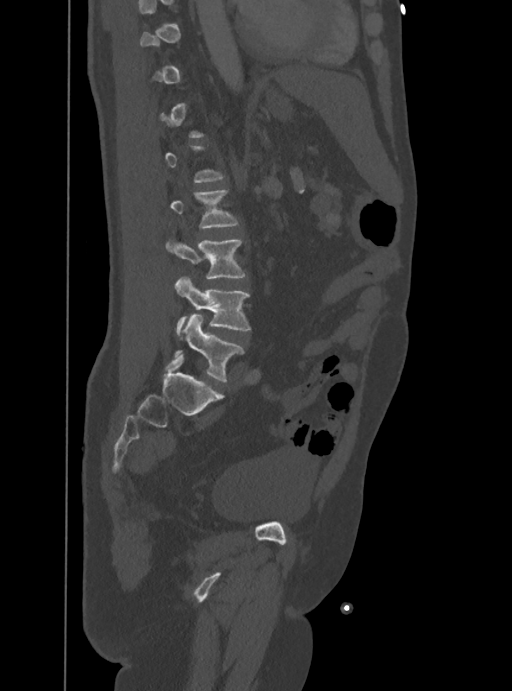 Computed tomography of the spine — sagittal view
Boxes: x1:y1:x2:y2 in pixels. Not every vertebra on this slice has a box: a vertebra is boxed only from the first to the last slice where its cross-section is at least a third of its largest, and this slice is outside that range for at least one of them. 4 vertebrae labeled — L5 at 174:314:243:381; L4 at 175:277:250:333; L3 at 166:240:246:278; L2 at 170:190:238:228.